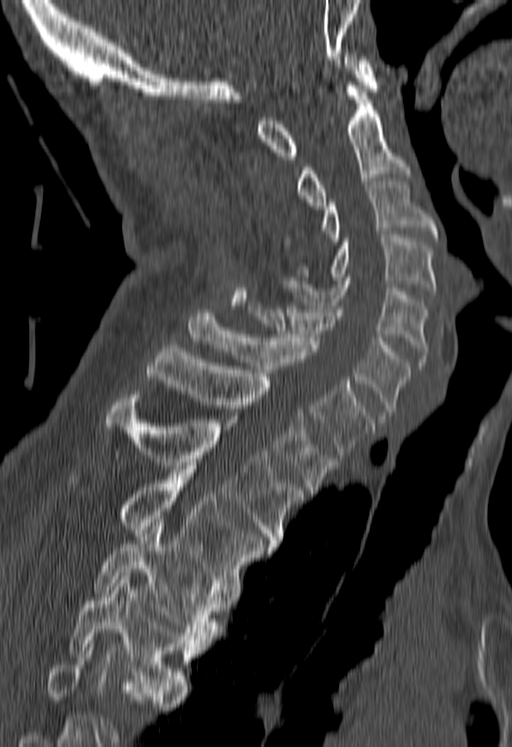

Spine computed tomography — sagittal view
Boxes: x1:y1:x2:y2 in pixels.
A vertebra cut off by the bottom edge of the scan is not labeled and has no box.
T5: 69:572:199:696
T4: 93:526:222:643
T3: 69:469:270:589
T2: 106:391:304:547
T1: 146:345:336:493
C7: 189:309:373:454
C6: 246:302:410:419
C5: 280:277:427:365
C4: 295:235:435:294
C3: 322:181:438:241
C2: 297:85:407:209
C1: 258:53:377:159